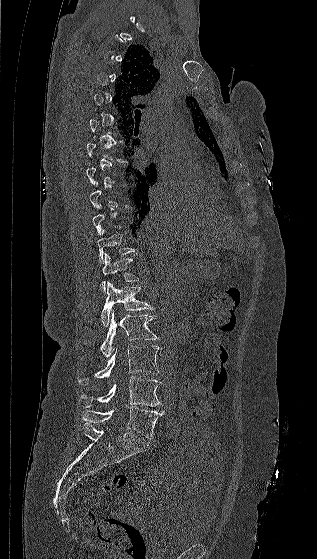

Spine CT. sagittal view. image 317 mm wide. Each box given as x1,y1,x2,y2.
Not every vertebra on this slice has a box: a vertebra is boxed only from the first to the last slice where its cross-section is at least a third of its largest, and this slice is outside that range for at least one of them.
Vertebra bounding boxes:
- T11: x1=98, y1=228, x2=135, y2=263
- T12: x1=99, y1=253, x2=139, y2=291
- L1: x1=101, y1=282, x2=155, y2=327
- L2: x1=100, y1=310, x2=159, y2=357
- L3: x1=77, y1=345, x2=161, y2=385
- L4: x1=80, y1=376, x2=161, y2=407
- L5: x1=81, y1=406, x2=164, y2=438